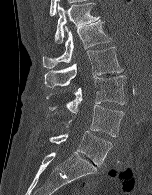
CT spine · sagittal view · bone window · 152x195 px
Boxes are given in columns x1, y1, x2, y2, the pixel coordinates of their top-left and bottom-right corners.
| vertebra | x1 | y1 | x2 | y2 |
|---|---|---|---|---|
| T12 | 54 | 1 | 100 | 43 |
| L1 | 42 | 20 | 111 | 68 |
| L2 | 44 | 47 | 123 | 88 |
| L3 | 46 | 75 | 126 | 112 |
| L4 | 66 | 105 | 124 | 137 |
| L5 | 49 | 131 | 112 | 166 |